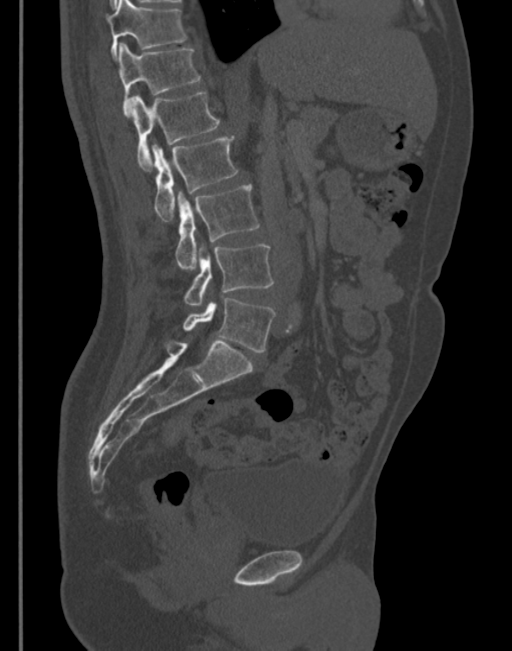
CT, spine — the image is 345 mm wide — sagittal view
Boxes below are [x1, y1, x2, y2] in pixels.
{"vertebrae":{"L5":[176,298,275,352],"L4":[184,245,273,305],"L3":[175,185,260,270],"L2":[153,135,238,220],"L1":[130,91,220,169],"T12":[117,43,201,117],"T11":[108,0,187,60]}}